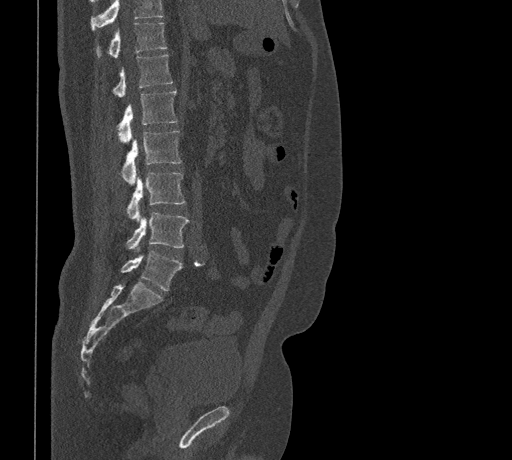
Spine CT — sagittal reformat — the image spans 461 mm across. Box edges are left/top/right/bottom in pixels. Where the top of the scan cuts through a vertebra, that vertebra gets no label or box. 7 vertebrae labeled — L5 at left=121, top=251, right=182, bottom=290; L4 at left=127, top=212, right=189, bottom=251; L3 at left=127, top=172, right=184, bottom=221; L2 at left=121, top=131, right=181, bottom=185; L1 at left=117, top=90, right=177, bottom=143; T12 at left=113, top=55, right=172, bottom=98; T11 at left=96, top=22, right=166, bottom=57.